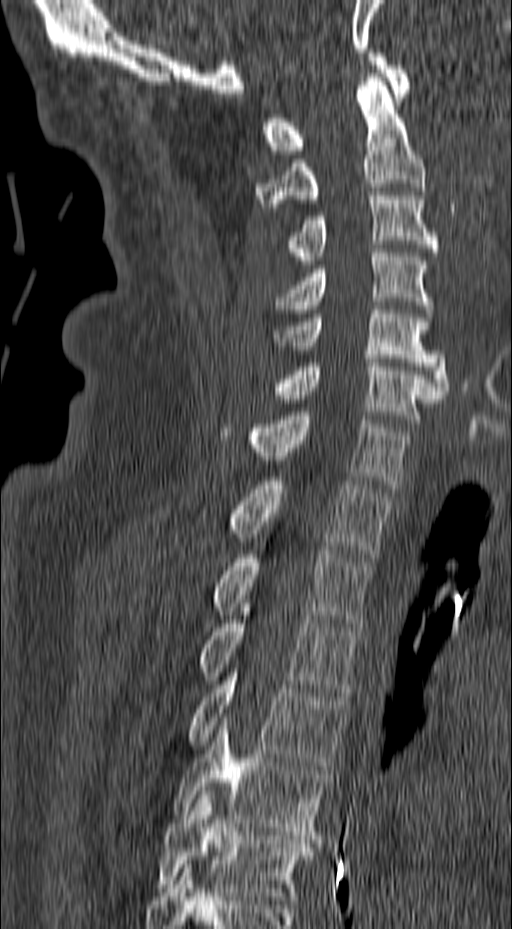 Computed tomography of the spine — sagittal view — bone window
Each vertebra maps to its box as [x1, y1, x2, y2], the pixel coordinates of its top-left and bottom-right corners.
{"vertebrae":{"T6":[156,791,310,904],"T5":[171,717,330,835],"T4":[188,669,349,769],"T3":[200,607,362,696],"T2":[213,550,372,627],"T1":[229,477,395,557],"C7":[252,412,411,488],"C6":[273,359,443,423],"C5":[270,310,449,394],"C4":[273,249,433,317],"C3":[288,196,440,264],"C2":[256,77,425,207],"C1":[262,53,411,154]}}